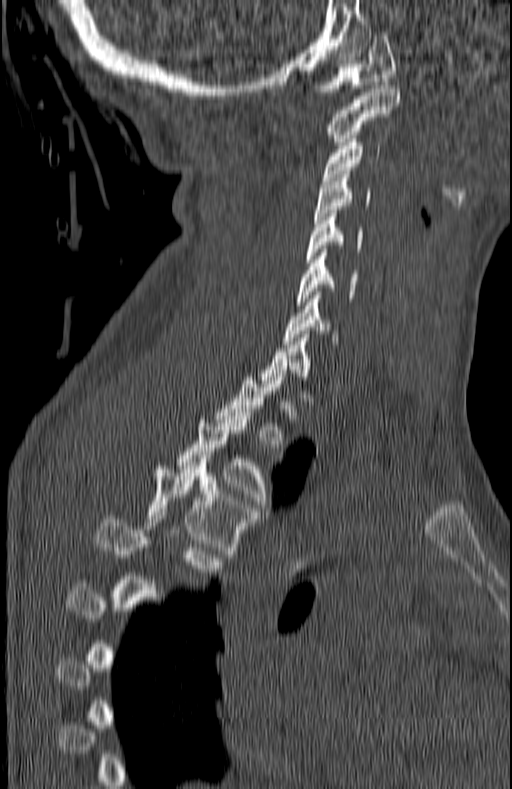 CT spine; sagittal view; bone-window reconstruction; 180 mm across the image
Each vertebra is boxed only on the slices from the first to the last where its cross-section reaches a third of its largest, so a slice outside that range leaves it unboxed.
<vertebrae><v name="C1" x1="311" y1="32" x2="395" y2="95"/><v name="C2" x1="328" y1="85" x2="398" y2="145"/><v name="C3" x1="322" y1="139" x2="380" y2="180"/><v name="C4" x1="314" y1="171" x2="370" y2="219"/><v name="C5" x1="306" y1="210" x2="364" y2="262"/><v name="C6" x1="297" y1="249" x2="358" y2="305"/><v name="C7" x1="283" y1="295" x2="338" y2="344"/><v name="T2" x1="217" y1="373" x2="284" y2="447"/><v name="T3" x1="177" y1="412" x2="273" y2="511"/><v name="T4" x1="146" y1="466" x2="256" y2="554"/><v name="T5" x1="95" y1="516" x2="222" y2="575"/></vertebrae>